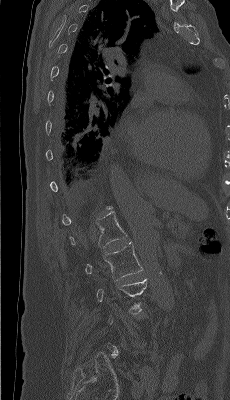 CT; sagittal view; W/L 1800/400 HU
Boxes: x1 y1 x2 y2 (pixel coords, space-separated). A vertebra gets a box only on the slices from the first to the last where its cross-section is at least a third of its largest; on a slice outside that range it gets none. The labeled vertebrae in this slice are: L1 at 70 211 127 249, L2 at 85 242 142 280.